Spine computed tomography; sagittal plane, index 273
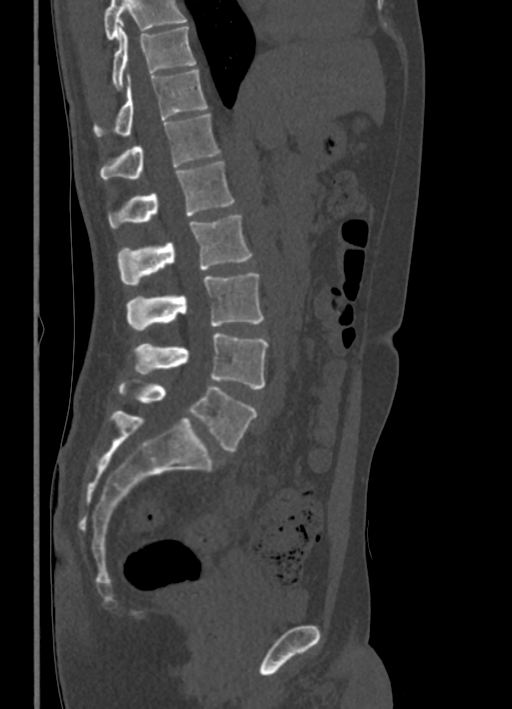 Each box is [x1, y1, x2, y2] in pixels: top-left corner, then bottom-right corner.
Vertebrae that run past the top of the scan are left unlabeled.
{"vertebrae":{"L5":[119,383,256,451],"L4":[134,332,269,389],"L3":[126,273,264,330],"L2":[117,215,252,284],"L1":[108,160,235,227],"T12":[100,115,220,178],"T11":[94,68,208,136],"T10":[113,26,195,89]}}